CT, spine; sagittal reformat; Bone window (WL 400, WW 1800); 512x591 px; scan covers 9 annotated vertebrae
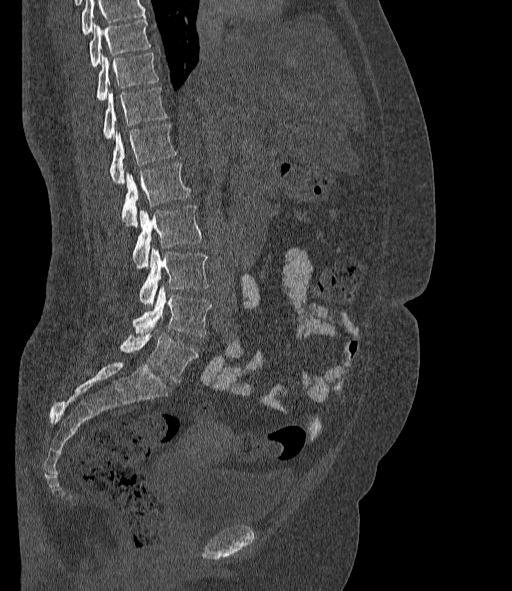
Bounding boxes as [x1, y1, x2, y2] in pixel coordinates.
A vertebra cut off by the top edge of the scan is not labeled and has no box.
In these labels the spine has an L6, a sixth lumbar vertebra below L5.
T10: [89, 19, 151, 67]
T11: [96, 53, 159, 101]
T12: [103, 87, 167, 139]
L1: [110, 124, 177, 184]
L2: [121, 163, 190, 226]
L3: [132, 205, 201, 268]
L4: [138, 249, 208, 305]
L5: [133, 287, 211, 337]
L6: [119, 333, 198, 382]